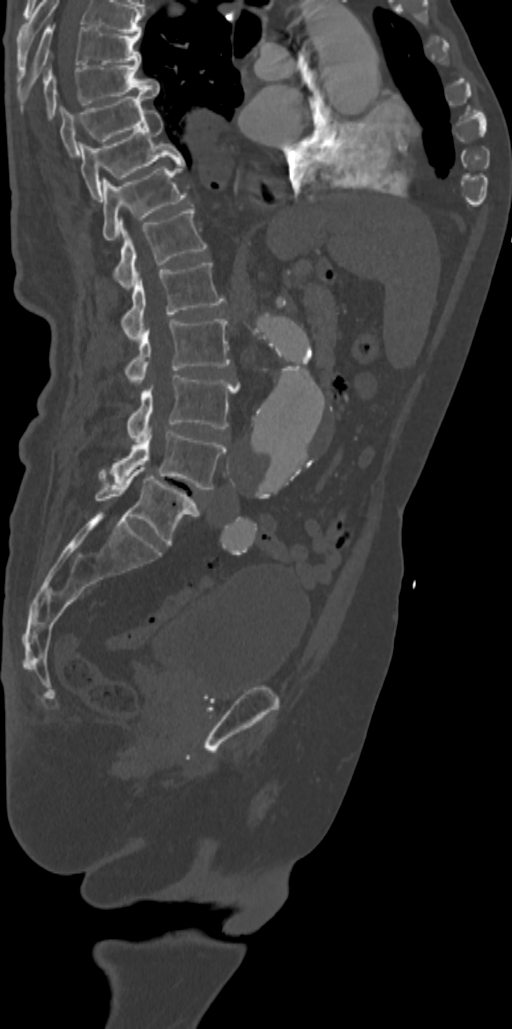

CT — 342 mm wide — sagittal view — Bone window (WL 400, WW 1800) — 512x1029 px
Box edges are left/top/right/bottom in pixels.
This scan's labels start at T7 at the top and end at L5 at the bottom.
Vertebra bounding boxes:
- T7: left=18, top=25, right=141, bottom=102
- T8: left=43, top=63, right=158, bottom=118
- T9: left=60, top=94, right=153, bottom=154
- T10: left=79, top=110, right=184, bottom=201
- T11: left=103, top=162, right=186, bottom=239
- T12: left=114, top=204, right=207, bottom=289
- L1: left=121, top=261, right=225, bottom=343
- L2: left=126, top=319, right=231, bottom=385
- L3: left=127, top=375, right=238, bottom=442
- L4: left=99, top=427, right=226, bottom=489
- L5: left=94, top=467, right=199, bottom=545